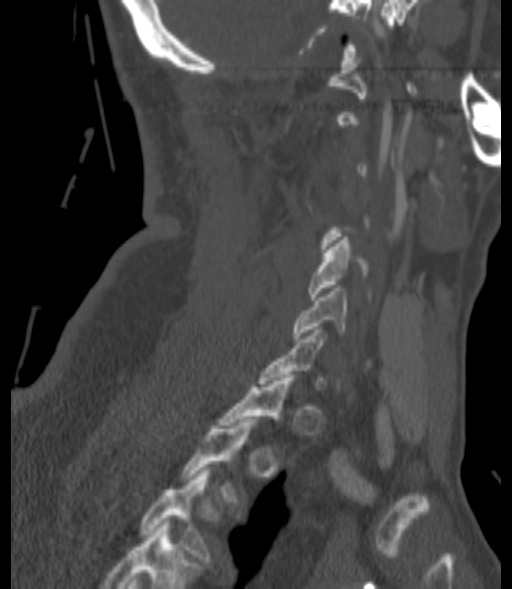

CT spine; 200 mm across the image; sagittal view; bone-window reconstruction

Boxes: x1 y1 x2 y2 (pixel coords, space-separated).
Each vertebra is boxed only on the slices from the first to the last where its cross-section reaches a third of its largest, so a slice outside that range leaves it unboxed.
Labels in this scan begin with C1 at the top and end with T3 at the bottom.
C5: 307 237 369 300
C6: 293 288 345 341
T3: 142 470 210 562